CT, spine. sagittal view. bone-window reconstruction. 512x919 px
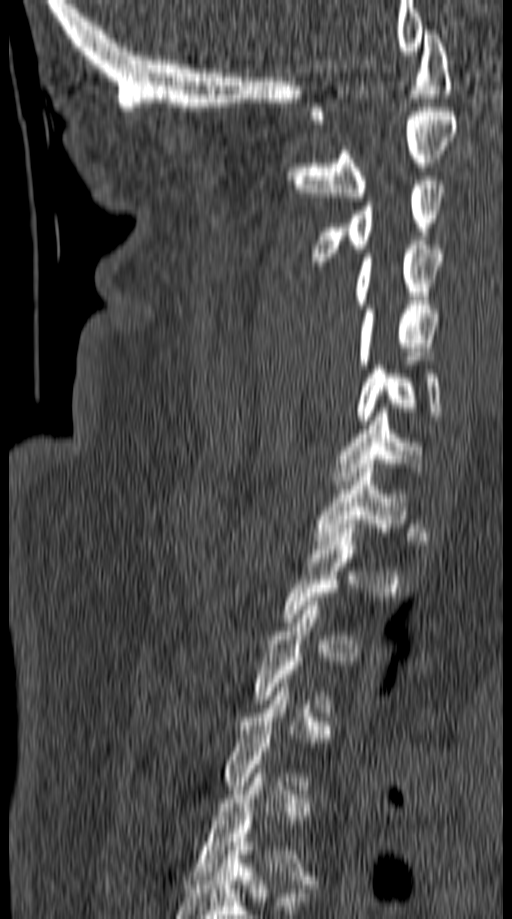
Each vertebra maps to its box as [x1, y1, x2, y2], the pixel coordinates of its top-left and bottom-right corners.
A vertebra is boxed only from the first to the last slice where its cross-section is at least a third of its largest; slices outside that range leave it without a box.
{"vertebrae":{"C1":[309,30,452,124],"C2":[293,107,457,201],"C3":[310,176,444,270],"C4":[355,241,443,308],"C5":[358,305,440,364],"C6":[357,361,442,424],"C7":[333,408,423,489],"T1":[314,464,409,545]}}